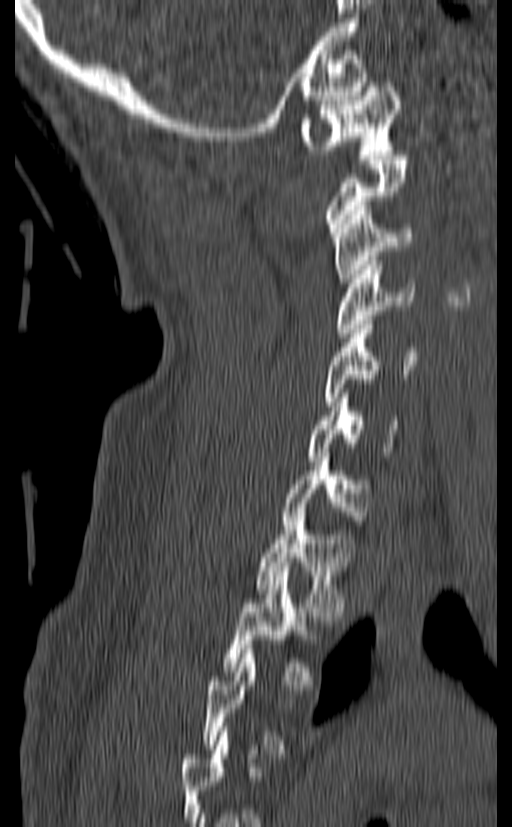

Spine CT · sagittal view

Each vertebra is boxed only on the slices from the first to the last where its cross-section reaches a third of its largest, so a slice outside that range leaves it unboxed.
<vertebrae><v name="T2" x1="222" y1="571" x2="318" y2="689"/><v name="T1" x1="255" y1="512" x2="354" y2="616"/><v name="C7" x1="283" y1="453" x2="370" y2="529"/><v name="C6" x1="308" y1="393" x2="399" y2="461"/><v name="C5" x1="323" y1="320" x2="416" y2="406"/><v name="C4" x1="334" y1="261" x2="415" y2="337"/><v name="C3" x1="332" y1="206" x2="413" y2="287"/><v name="C1" x1="301" y1="82" x2="400" y2="154"/></vertebrae>